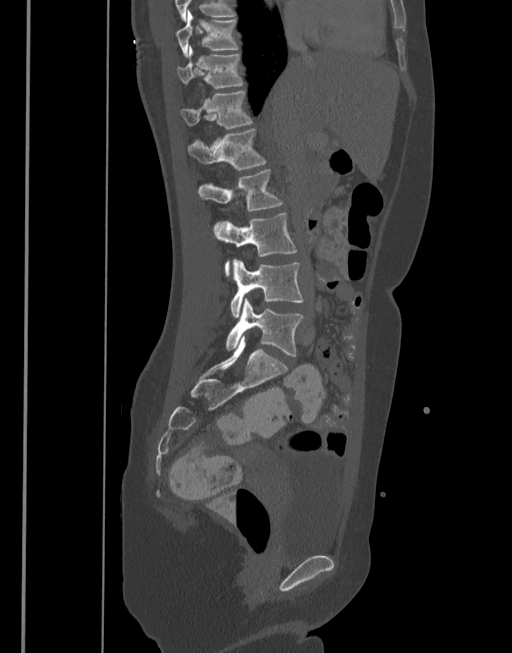 Spine computed tomography — sagittal view — 377 mm wide. Boxes: x1:y1:x2:y2 in pixels.
T10: 176:10:239:56
T11: 176:45:243:88
T12: 180:90:253:129
L1: 187:128:266:170
L2: 198:170:284:210
L3: 214:213:298:275
L4: 231:259:303:317
L5: 226:299:304:356